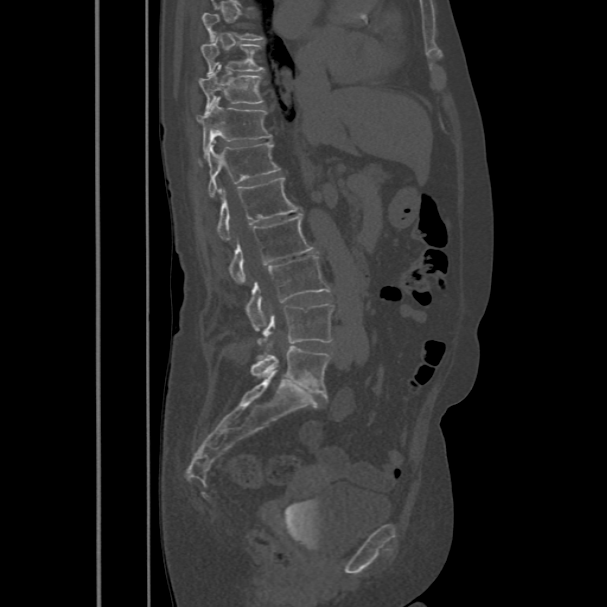
CT spine; sagittal view; bone window

Box values are [left, top, right, bottom] in pixels.
Each vertebra is boxed only on the slices from the first to the last where its cross-section reaches a third of its largest, so a slice outside that range leaves it unboxed.
{"vertebrae":{"T9":[202,36,265,74],"T10":[199,63,264,110],"T11":[197,97,272,155],"T12":[199,142,280,196],"L1":[216,177,300,240],"L2":[228,215,315,282],"L3":[246,255,331,329],"L4":[257,303,332,342],"L5":[250,346,330,395]}}